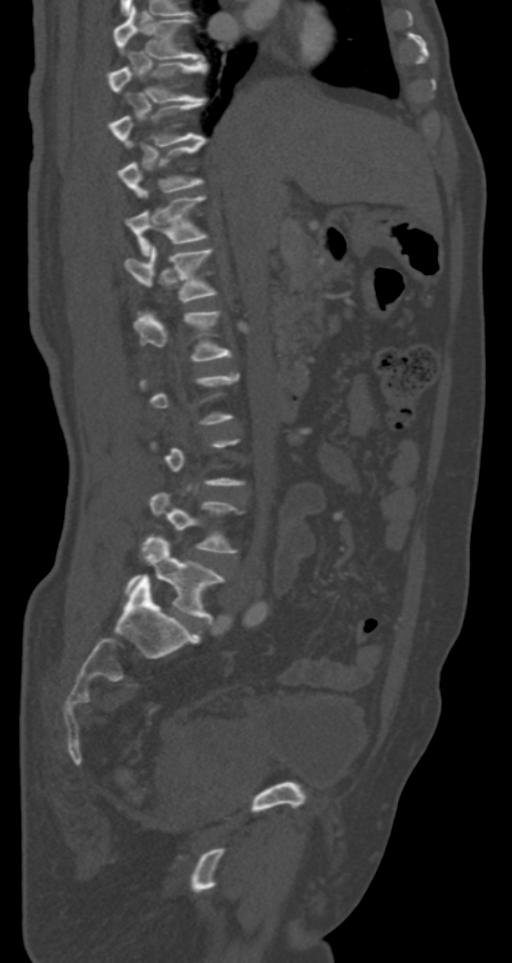 Spine computed tomography; sagittal reformat; W/L 1800/400 HU
Coordinates as <box>x1,y1,x2,y2</box>.
Not every vertebra on this slice has a box: a vertebra is boxed only from the first to the last slice where its cross-section is at least a third of its largest, and this slice is outside that range for at least one of them.
T7: <box>114,5,204,59</box>
T8: <box>108,60,207,103</box>
T9: <box>110,97,207,146</box>
T10: <box>117,137,207,198</box>
T11: <box>126,196,209,255</box>
T12: <box>124,244,218,302</box>
L1: <box>133,310,232,361</box>
L4: <box>149,491,243,553</box>
L5: <box>124,537,225,623</box>